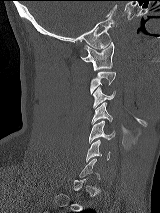

CT. sagittal view. 160 mm wide
Box values are [left, top, right, bottom] in pixels.
A vertebra is boxed only from the first to the last slice where its cross-section is at least a third of its largest; slices outside that range leave it without a box.
{"vertebrae":{"C1":[81,42,114,70],"C2":[90,71,115,94],"C3":[93,87,115,107],"C4":[91,102,112,123],"C5":[89,121,115,143],"C6":[86,139,110,161]}}